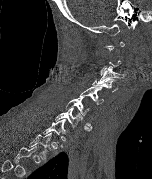
CT, spine; image 152 mm wide; sagittal reformat
Boxes: x1 y1 x2 y2 (pixel coords, space-separated).
Not every vertebra on this slice has a box: a vertebra is boxed only from the first to the last slice where its cross-section is at least a third of its largest, and this slice is outside that range for at least one of them.
Labels in this scan begin with C1 at the top and end with T2 at the bottom.
Vertebra bounding boxes:
- C3: 98 65 123 83
- C4: 92 77 118 92
- C5: 79 86 103 105
- C6: 65 97 92 129
- C7: 55 107 90 131
- T1: 43 119 67 146
- T2: 29 132 53 161